Spine computed tomography · sagittal reformat · 18 vertebrae labeled in this scan · the image spans 275 mm across
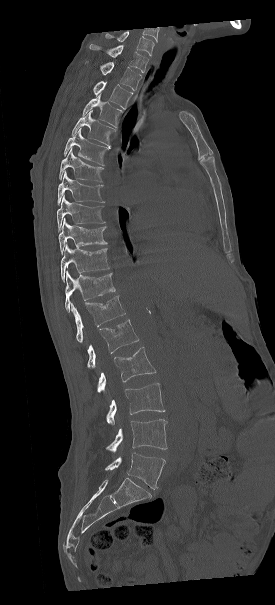

Boxes below are [x1, y1, x2, y2] in pixels.
Labels in this scan begin with C7 at the top and end with L5 at the bottom.
{"vertebrae":{"C7":[89,44,148,72],"T1":[84,59,141,90],"T2":[93,81,133,109],"T3":[83,95,123,127],"T4":[72,110,116,146],"T5":[64,128,110,165],"T6":[58,148,104,182],"T7":[57,171,105,204],"T8":[57,195,105,231],"T9":[58,218,107,254],"T10":[61,244,109,280],"T11":[65,271,115,312],"T12":[71,296,125,342],"L1":[87,319,138,368],"L2":[97,347,156,392],"L3":[106,383,165,426],"L4":[105,419,167,452],"L5":[105,452,165,489]}}